Spine computed tomography. sagittal view. 444x709 px. 17 vertebrae labeled in this scan
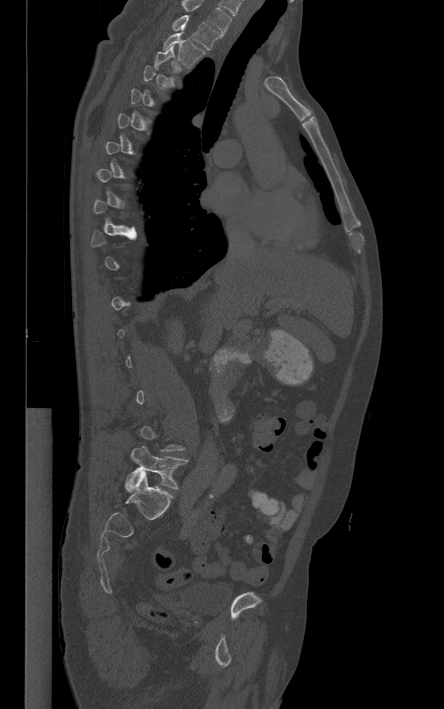
Box edges are left/top/right/bottom in pixels.
Not every vertebra on this slice has a box: a vertebra is boxed only from the first to the last slice where its cross-section is at least a third of its largest, and this slice is outside that range for at least one of them.
In this scan, the topmost labeled vertebra is T1 and the lowest is L5.
T1: left=173, top=15, right=221, bottom=49
T2: left=161, top=30, right=204, bottom=66
L5: left=125, top=446, right=189, bottom=491